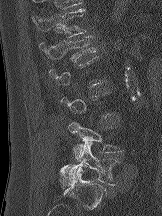 Spine computed tomography — sagittal view — image width 162 mm
A vertebra gets a box only on the slices from the first to the last where its cross-section is at least a third of its largest; on a slice outside that range it gets none.
<vertebrae><v name="L5" x1="59" y1="142" x2="120" y2="188"/><v name="L4" x1="68" y1="121" x2="123" y2="161"/><v name="L1" x1="39" y1="35" x2="96" y2="61"/><v name="T12" x1="32" y1="8" x2="86" y2="37"/></vertebrae>